Spine CT. sagittal reformat. the image is 152 mm wide. 152x195 px
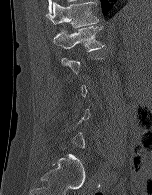
Boxes: x1 y1 x2 y2 (pixel coords, space-separated).
Each vertebra is boxed only on the slices from the first to the last where its cross-section reaches a third of its largest, so a slice outside that range leaves it unboxed.
T12: 46 1 98 27
L1: 53 26 105 51